CT, spine · sagittal view · 204 mm image width · bone-window reconstruction · 6 vertebrae labeled in this scan
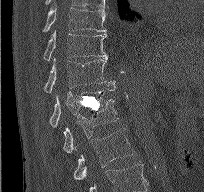 Bounding boxes as [x1, y1, x2, y2] in pixel coordinates. In this scan, the topmost labeled vertebra is T9 and the lowest is L2. 6 vertebrae labeled — T9 at [42, 7, 106, 32]; T10 at [43, 31, 107, 61]; T11 at [43, 57, 115, 92]; T12 at [49, 86, 115, 127]; L1 at [62, 99, 118, 153]; L2 at [73, 128, 134, 179].